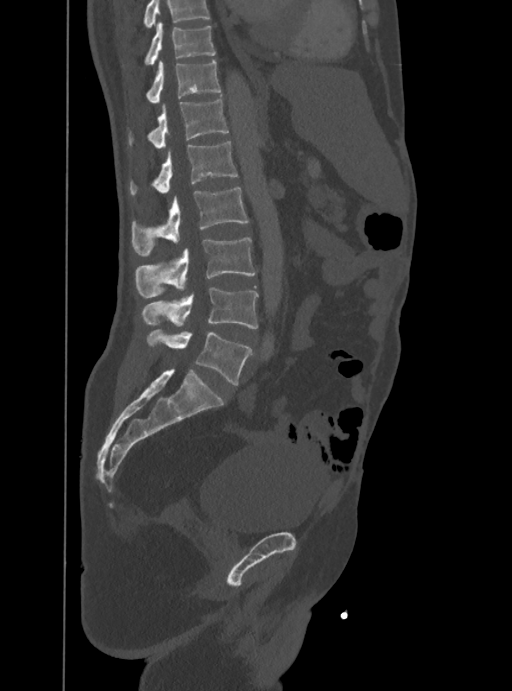
CT, spine. image 388 mm wide. sagittal view. 512x691 px
Where the top of the scan cuts through a vertebra, that vertebra gets no label or box.
<vertebrae><v name="T10" x1="145" y1="21" x2="215" y2="64"/><v name="T11" x1="146" y1="59" x2="221" y2="104"/><v name="T12" x1="129" y1="99" x2="228" y2="147"/><v name="L1" x1="130" y1="141" x2="238" y2="194"/><v name="L2" x1="132" y1="188" x2="248" y2="254"/><v name="L3" x1="136" y1="238" x2="255" y2="297"/><v name="L4" x1="142" y1="287" x2="257" y2="329"/><v name="L5" x1="148" y1="330" x2="251" y2="384"/></vertebrae>